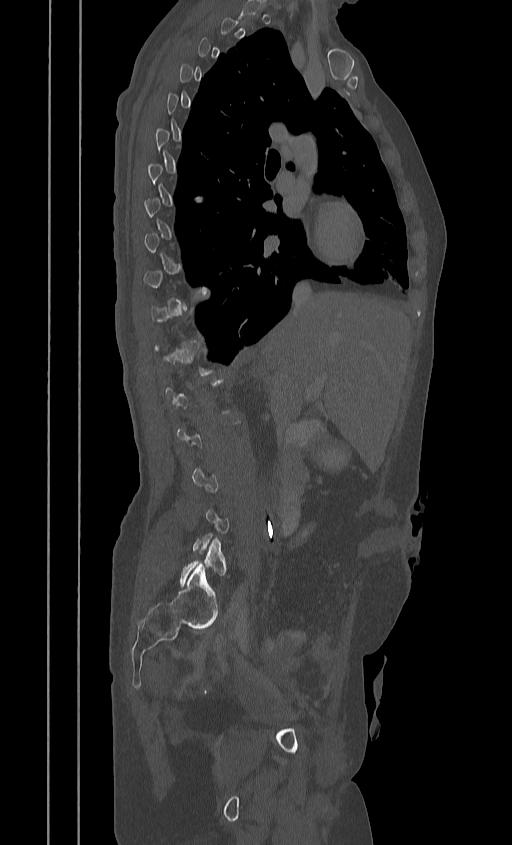
CT; sagittal view; bone-window reconstruction; the image is 384 mm wide
Boxes: x1:y1:x2:y2 in pixels. A vertebra is boxed only from the first to the last slice where its cross-section is at least a third of its largest; slices outside that range leave it without a box. 2 vertebrae labeled — T12 at 154:340:213:375; L5 at 180:537:227:586.